CT spine; sagittal reformat
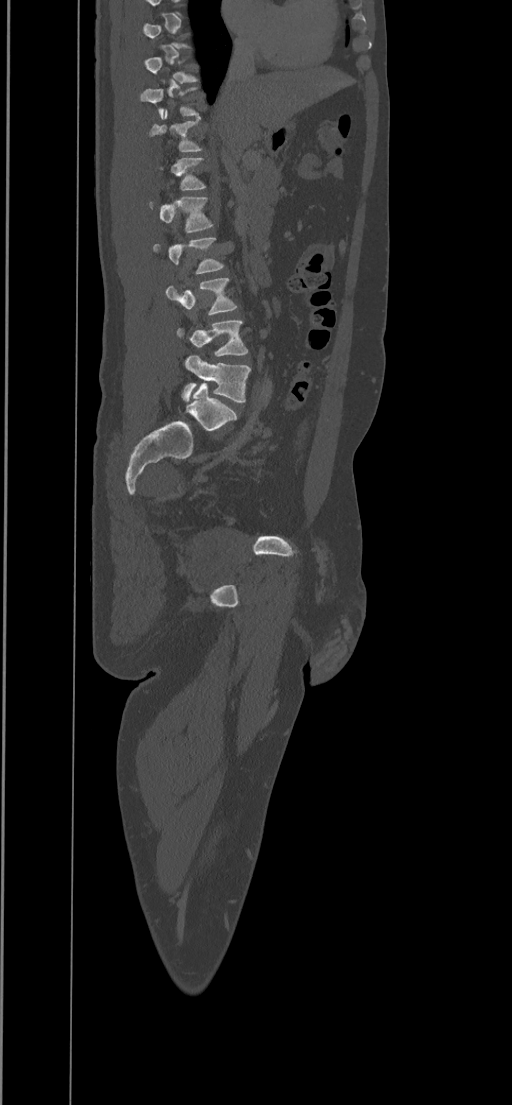 Box edges are left/top/right/bottom in pixels.
A vertebra gets a box only on the slices from the first to the last where its cross-section is at least a third of its largest; on a slice outside that range it gets none.
Vertebra bounding boxes:
- T11: left=149, top=109, right=201, bottom=151
- L1: left=149, top=197, right=212, bottom=233
- L3: left=165, top=278, right=236, bottom=314
- L4: left=177, top=321, right=248, bottom=356
- L5: left=181, top=355, right=250, bottom=402